CT spine · sagittal plane, index 336 · bone window
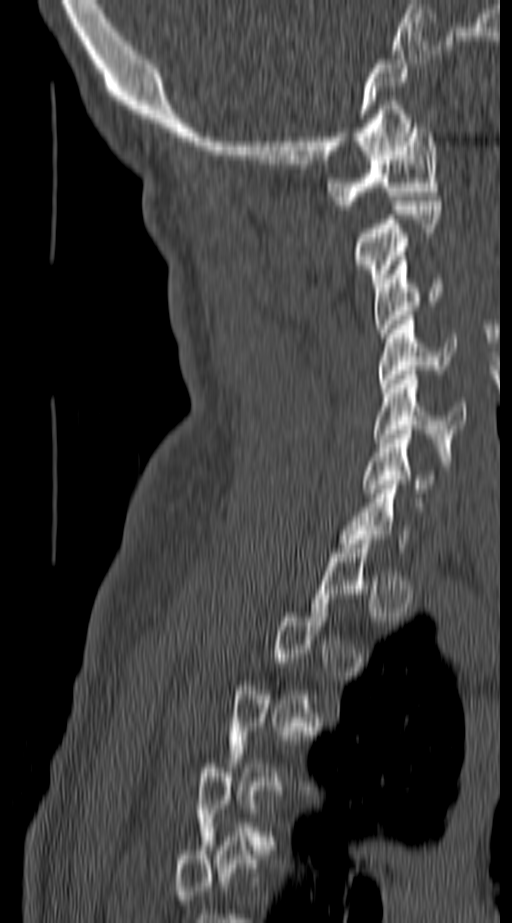 Box edges are left/top/right/bottom in pixels.
A vertebra gets a box only on the slices from the first to the last where its cross-section is at least a third of its largest; on a slice outside that range it gets none.
| vertebra | x1 | y1 | x2 | y2 |
|---|---|---|---|---|
| C1 | 327 | 123 | 439 | 209 |
| C2 | 352 | 201 | 439 | 287 |
| C3 | 374 | 261 | 443 | 337 |
| C4 | 378 | 315 | 454 | 388 |
| C5 | 374 | 370 | 466 | 452 |
| C6 | 363 | 430 | 438 | 493 |